CT, spine — sagittal plane, index 93
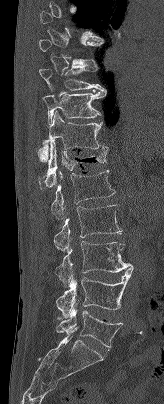

Boxes are (x1, y1, x2, y2) in pixels.
A vertebra is boxed only from the first to the last slice where its cross-section is at least a third of its largest; slices outside that range leave it without a box.
Vertebra bounding boxes:
- T9: (38, 64, 105, 91)
- T10: (42, 91, 106, 124)
- T11: (38, 111, 108, 161)
- T12: (39, 140, 108, 187)
- L1: (50, 170, 115, 220)
- L2: (53, 204, 121, 251)
- L3: (56, 241, 133, 286)
- L4: (56, 268, 133, 318)
- L5: (56, 303, 122, 349)